CT — sagittal view
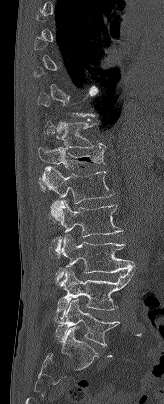 Columns x1, y1, x2, y2 give each box's top-left and bottom-right pixels.
Each vertebra is boxed only on the slices from the first to the last where its cross-section reaches a third of its largest, so a slice outside that range leaves it unboxed.
| vertebra | x1 | y1 | x2 | y2 |
|---|---|---|---|---|
| T11 | 44 | 122 | 106 | 148 |
| T12 | 38 | 147 | 105 | 190 |
| L1 | 39 | 166 | 114 | 222 |
| L2 | 49 | 200 | 122 | 256 |
| L3 | 56 | 235 | 135 | 280 |
| L4 | 56 | 268 | 134 | 318 |
| L5 | 55 | 298 | 120 | 346 |